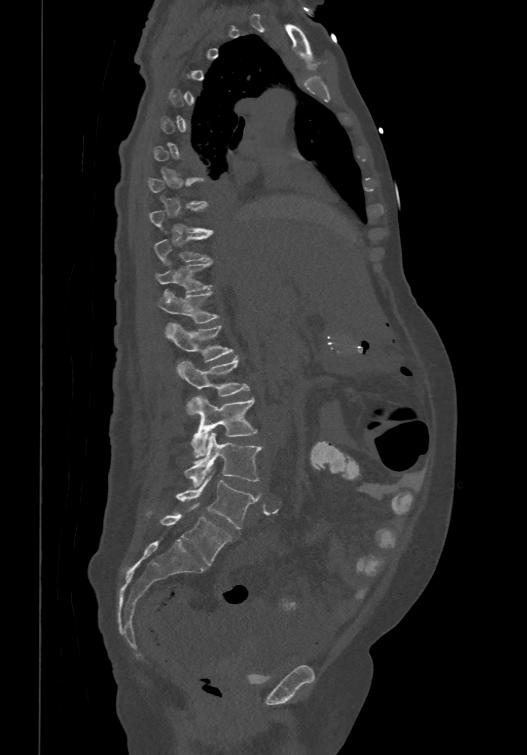
CT; sagittal view; 527x755 px

Bounding boxes as [x1, y1, x2, y2] in pixel coordinates. Not every vertebra on this slice has a box: a vertebra is boxed only from the first to the last slice where its cross-section is at least a third of its largest, and this slice is outside that range for at least one of them. The labels name a sixth lumbar vertebra for this spine: L6, after L5. Vertebrae labeled: L6 at [148, 503, 231, 565], L5 at [176, 475, 257, 528], L4 at [184, 432, 261, 486], L3 at [191, 396, 257, 457], L2 at [179, 356, 249, 415], L1 at [167, 322, 234, 372], T12 at [156, 290, 219, 333], T11 at [155, 258, 212, 296], T10 at [154, 232, 213, 263], T9 at [149, 204, 213, 232].